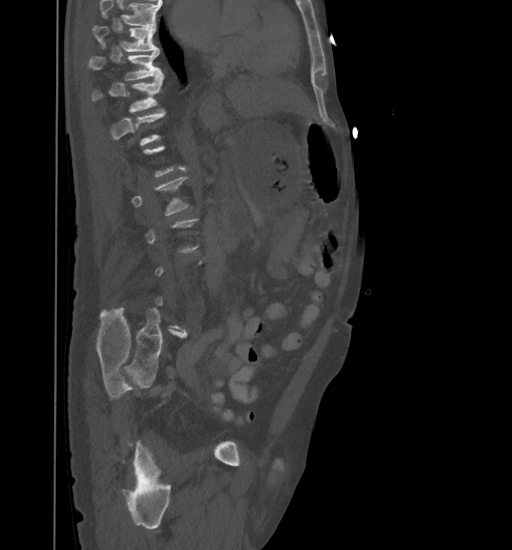

CT spine. 461 mm wide. sagittal view. 512x550 px

Each box is [x1, y1, x2, y2] in pixels: top-left corner, then bottom-right corner.
A vertebra is boxed only from the first to the last slice where its cross-section is at least a third of its largest; slices outside that range leave it without a box.
Where the top of the scan cuts through a vertebra, that vertebra gets no label or box.
{"vertebrae":{"T9":[93,26,158,51],"T10":[89,49,164,80],"T11":[91,72,162,112]}}